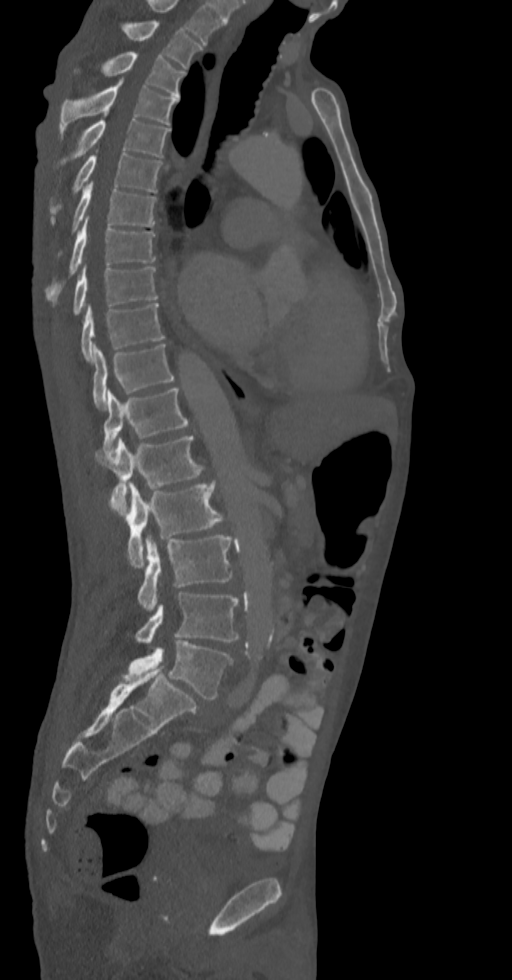

CT, spine; sagittal reformat; 336 mm image width; 512x980 px
Box edges are left/top/right/bottom in pixels.
Labels in this scan begin with T2 at the top and end with L5 at the bottom.
Vertebra bounding boxes:
- T2: left=120, top=20, right=201, bottom=69
- T3: left=74, top=52, right=185, bottom=98
- T4: left=59, top=79, right=179, bottom=135
- T5: left=61, top=113, right=169, bottom=164
- T6: left=50, top=151, right=162, bottom=214
- T7: left=71, top=181, right=156, bottom=232
- T8: left=45, top=218, right=156, bottom=301
- T9: left=73, top=265, right=157, bottom=314
- T10: left=80, top=303, right=163, bottom=362
- T11: left=93, top=344, right=174, bottom=409
- T12: left=103, top=387, right=188, bottom=455
- L1: left=94, top=436, right=204, bottom=514
- L2: left=110, top=482, right=232, bottom=567
- L3: left=137, top=535, right=232, bottom=612
- L4: left=135, top=591, right=238, bottom=644
- L5: left=121, top=640, right=233, bottom=700